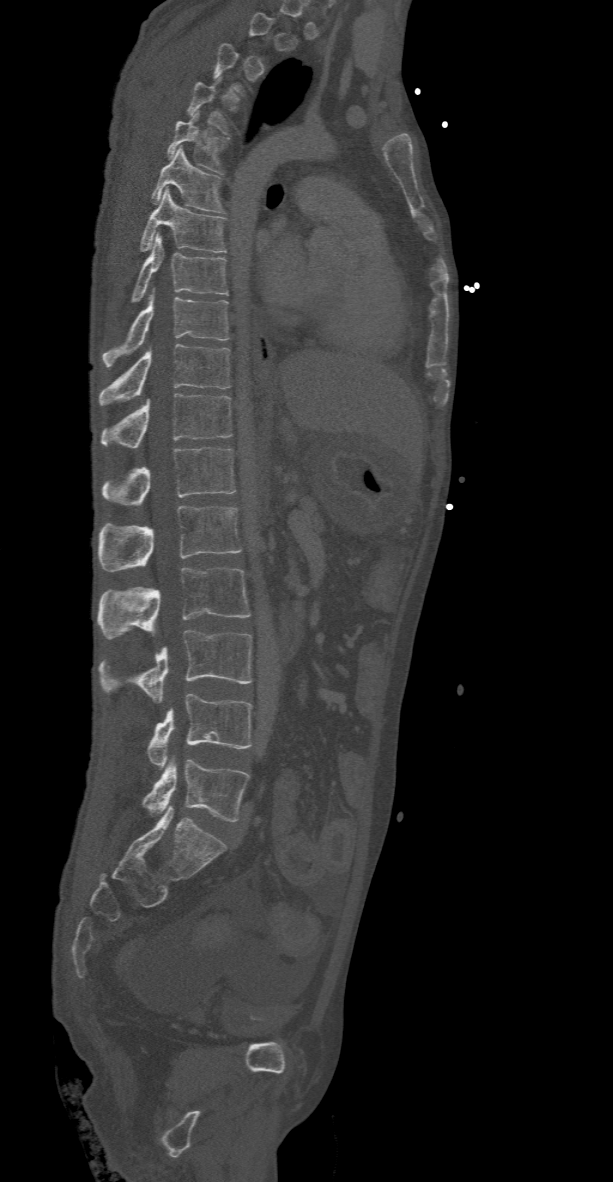
Spine computed tomography. sagittal view. W/L 1800/400 HU. 613x1182 px. Boxes are (x1, y1, x2, y2) in pixels. Each vertebra is boxed only on the slices from the first to the last where its cross-section reaches a third of its largest, so a slice outside that range leaves it unboxed. The labeled vertebrae in this slice are: T4 at (187, 76, 229, 135), T5 at (167, 112, 227, 173), T6 at (150, 147, 225, 213), T7 at (138, 189, 227, 253), T8 at (129, 234, 227, 303), T9 at (102, 294, 229, 366), T10 at (98, 344, 230, 405), T11 at (102, 394, 233, 448), T12 at (102, 447, 235, 508), L1 at (98, 506, 241, 571), L2 at (98, 567, 251, 638), L3 at (98, 629, 252, 701), L4 at (146, 694, 252, 766), L5 at (141, 759, 248, 821).